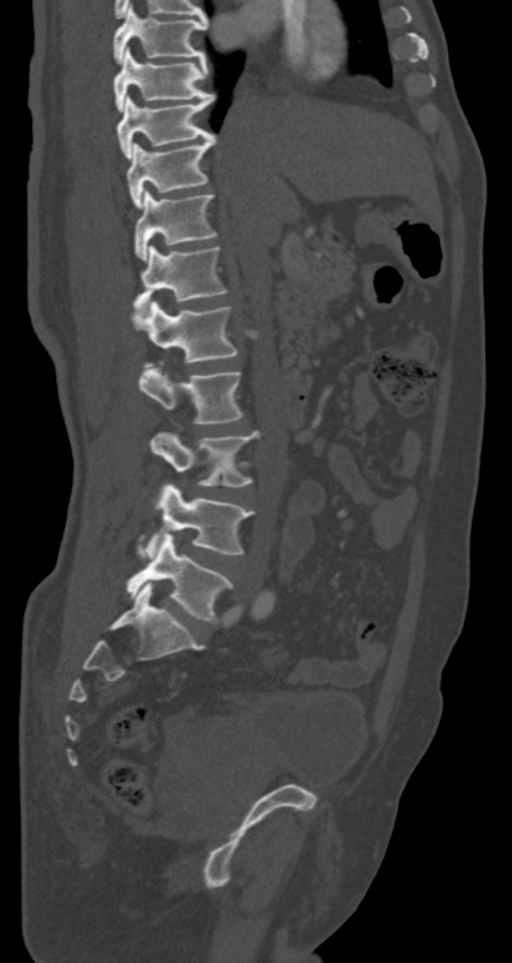 Spine CT. sagittal view. the image spans 287 mm across. bone window
In the table, x1 and y1 are a box's top-left corner and x2 and y2 its bottom-right corner, in pixels.
| vertebra | x1 | y1 | x2 | y2 |
|---|---|---|---|---|
| T7 | 112 | 5 | 207 | 63 |
| T8 | 114 | 47 | 213 | 111 |
| T9 | 117 | 94 | 214 | 159 |
| T10 | 126 | 135 | 216 | 208 |
| T11 | 135 | 189 | 216 | 259 |
| T12 | 133 | 246 | 229 | 311 |
| L1 | 141 | 301 | 238 | 362 |
| L2 | 139 | 362 | 243 | 424 |
| L3 | 149 | 430 | 259 | 486 |
| L4 | 137 | 483 | 255 | 558 |
| L5 | 126 | 532 | 234 | 623 |